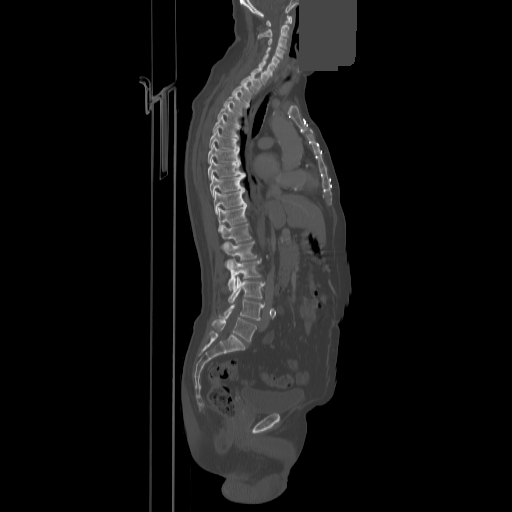 CT — sagittal reformat — Bone window (WL 400, WW 1800) — 858 mm across the image — 512x512 px — a uniform gray block covers part of the image
Coordinates as <box>x1,y1,x2,y2</box>. Vertebrae labeled: L5 at <box>212,317,256,342</box>, L4 at <box>219,300,264,320</box>, L3 at <box>228,276,264,303</box>, L2 at <box>225,258,261,290</box>, L1 at <box>221,241,256,260</box>, T12 at <box>221,223,251,243</box>, T11 at <box>218,204,246,231</box>, T10 at <box>214,189,245,213</box>, T9 at <box>210,174,244,197</box>, T8 at <box>208,159,244,179</box>, T7 at <box>208,144,239,163</box>, T6 at <box>209,129,237,149</box>, T5 at <box>213,116,237,137</box>, T4 at <box>217,104,237,122</box>, T3 at <box>223,93,243,113</box>, T2 at <box>232,82,251,102</box>, T1 at <box>241,74,261,93</box>, C7 at <box>251,68,268,84</box>, C6 at <box>259,61,275,71</box>, C5 at <box>263,54,279,67</box>, C4 at <box>266,47,284,59</box>, C3 at <box>268,37,286,49</box>, C2 at <box>258,22,289,38</box>, C1 at <box>266,16,291,26</box>.